CT spine. sagittal plane, index 255. 512x548 px. image 435 mm wide
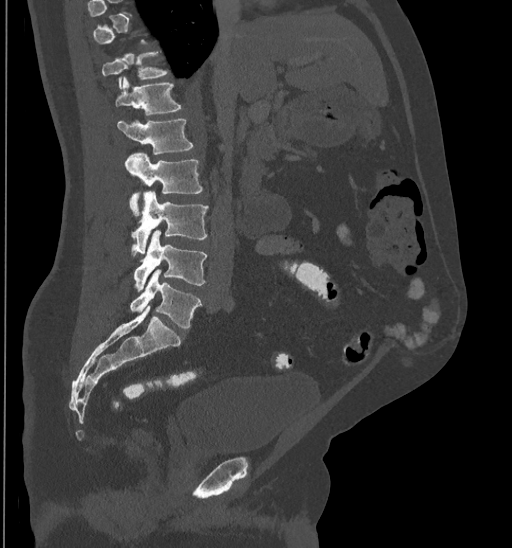 Boxes are (x1, y1, x2, y2) in pixels. Each vertebra is boxed only on the slices from the first to the last where its cross-section reaches a third of its largest, so a slice outside that range leaves it unboxed. 7 vertebrae labeled — T11 at (102, 50, 170, 88); T12 at (115, 76, 183, 114); L1 at (117, 119, 193, 154); L2 at (126, 153, 203, 216); L3 at (130, 191, 208, 254); L4 at (134, 231, 207, 290); L5 at (130, 270, 201, 327).